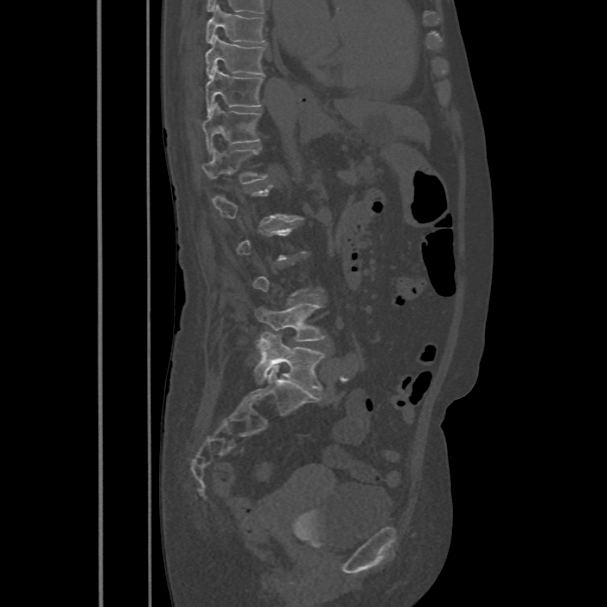
CT · sagittal reformat · W/L 1800/400 HU · 486 mm across the image

Boxes below are [x1, y1, x2, y2] in pixels.
Not every vertebra on this slice has a box: a vertebra is boxed only from the first to the last slice where its cross-section is at least a third of its largest, and this slice is outside that range for at least one of them.
{"vertebrae":{"T8":[205,5,265,42],"T9":[205,35,265,77],"T10":[205,66,262,114],"T11":[202,103,260,152],"T12":[203,147,266,184],"L4":[255,303,325,341],"L5":[254,331,325,390]}}